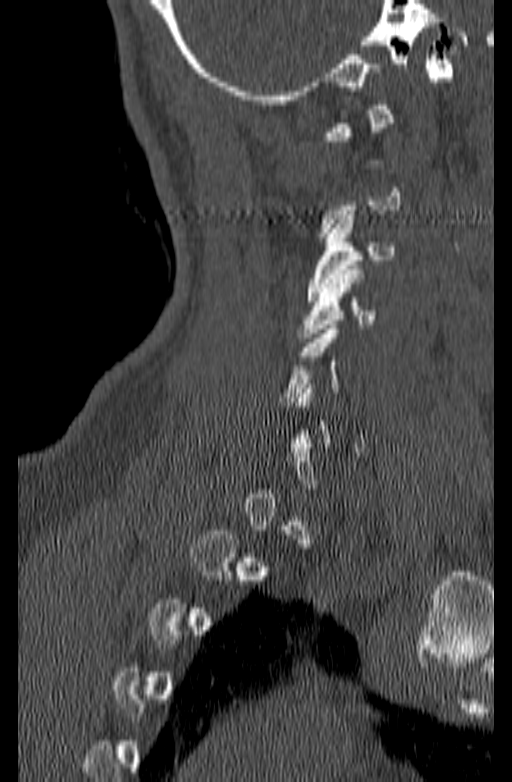
Spine computed tomography. sagittal view. 140 mm wide. bone-window reconstruction. 512x782 px
Boxes: x1 y1 x2 y2 (pixel coords, space-separated).
A vertebra gets a box only on the slices from the first to the last where its cross-section is at least a third of its largest; on a slice outside that range it gets none.
C3: 307 215 395 301
C4: 299 265 377 337
C5: 278 325 340 406